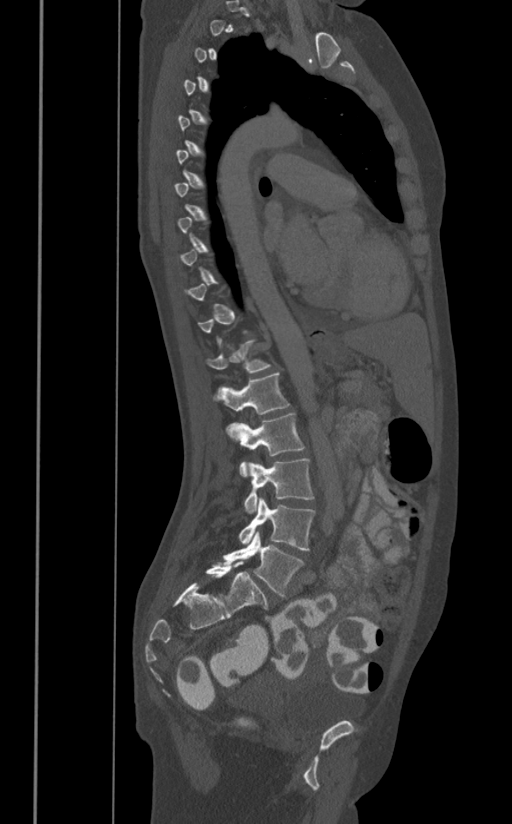

CT; sagittal reformat; W/L 1800/400 HU
Boxes: x1 y1 x2 y2 (pixel coords, space-separated).
A vertebra is boxed only from the first to the last slice where its cross-section is at least a third of its largest; slices outside that range leave it without a box.
T12: 205 339 271 373
L1: 215 372 290 414
L2: 226 412 305 476
L3: 245 458 314 513
L4: 238 497 314 551
L5: 223 532 304 598